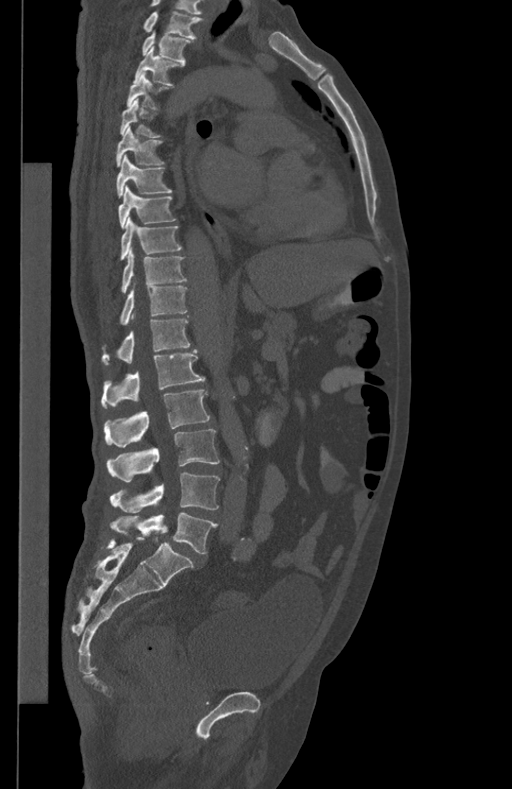

CT spine · sagittal view · 512x789 px

Box values are [left, top, right, bottom] in pixels.
The highest labeled vertebra in this scan is T1; the lowest is L5.
{"vertebrae":{"T1":[144,12,202,38],"T2":[143,32,190,63],"T3":[133,47,183,85],"T4":[127,72,173,108],"T5":[120,98,161,137],"T6":[116,126,164,166],"T7":[117,154,171,196],"T8":[118,185,176,227],"T9":[120,217,181,259],"T10":[121,247,186,292],"T11":[120,283,186,324],"T12":[101,319,190,364],"L1":[101,349,204,408],"L2":[104,389,210,447],"L3":[107,429,220,481],"L4":[110,472,220,512],"L5":[110,513,217,553]}}